CT spine · sagittal reformat · Bone window (WL 400, WW 1800) · 824x928 px
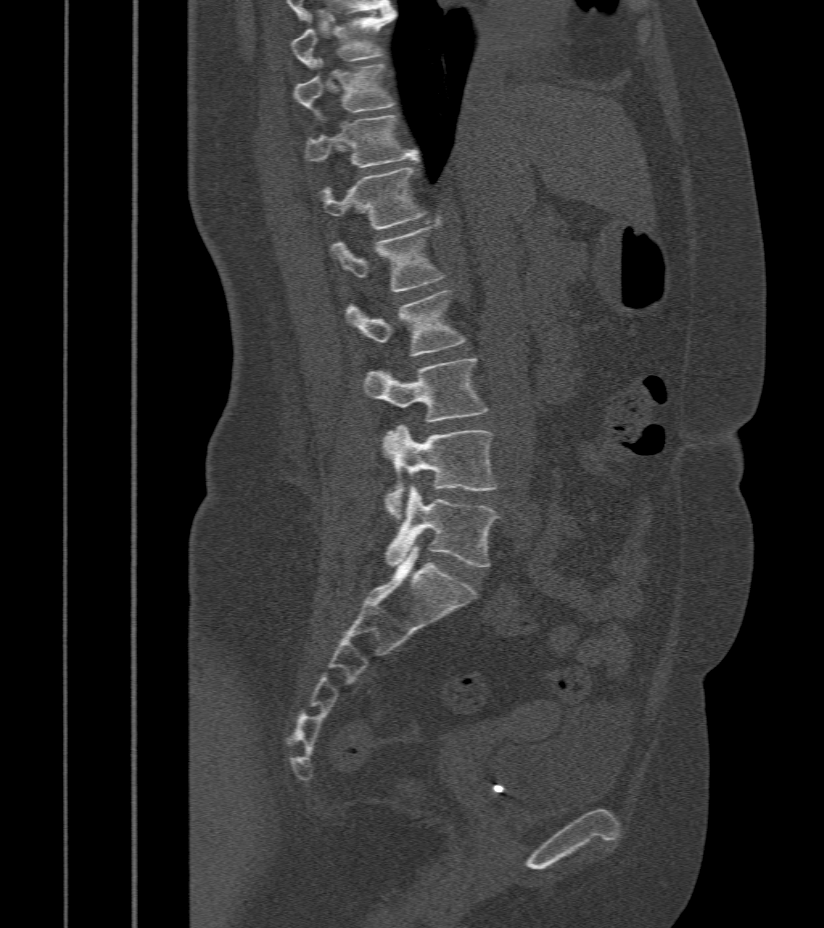

Coordinates as <box>x1,y1,x2,y2</box>.
T9: <box>291,9,397,70</box>
T10: <box>295,59,395,119</box>
T11: <box>306,115,419,168</box>
T12: <box>315,167,427,230</box>
L1: <box>330,219,446,292</box>
L2: <box>346,291,467,356</box>
L3: <box>364,359,488,452</box>
L4: <box>383,425,496,522</box>
L5: <box>386,487,500,568</box>